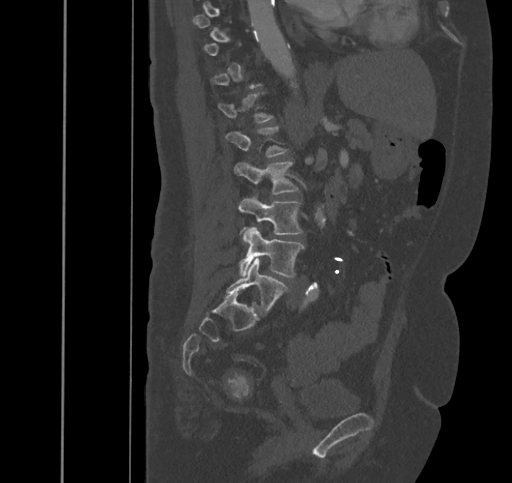 Spine computed tomography — sagittal reformat — image width 445 mm — bone window — 512x483 px. Each row gives a vertebra's box as x1, y1, x2, y2 in pixels: top-left corner, then bottom-right corner.
Each vertebra is boxed only on the slices from the first to the last where its cross-section reaches a third of its largest, so a slice outside that range leaves it unboxed.
| vertebra | x1 | y1 | x2 | y2 |
|---|---|---|---|---|
| L1 | 225 | 126 | 288 | 157 |
| L2 | 235 | 161 | 298 | 194 |
| L3 | 238 | 196 | 303 | 241 |
| L4 | 240 | 227 | 304 | 277 |
| L5 | 226 | 258 | 288 | 315 |